CT. sagittal reformat. 512x789 px. scan covers 14 annotated vertebrae
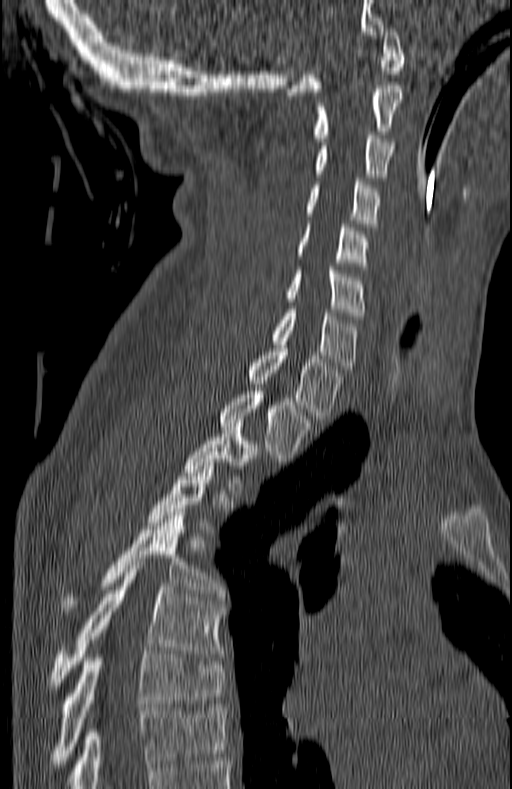
Boxes: x1 y1 x2 y2 (pixel coords, space-separated). A vertebra is boxed only from the first to the last slice where its cross-section is at least a third of its largest; slices outside that range leave it without a box. 13 vertebrae labeled — C1 at 287 28 404 95; C2 at 314 85 404 141; C3 at 314 135 393 177; C4 at 305 181 381 227; C5 at 297 224 367 269; C6 at 285 270 364 319; C7 at 271 309 358 369; T1 at 246 348 341 419; T2 at 220 391 313 461; T3 at 186 427 259 493; T5 at 61 512 225 611; T6 at 49 565 222 692; T7 at 49 651 225 767.